Spine CT. Sagittal slice 231/512. Bone window (WL 400, WW 1800). image 409 mm wide. 512x700 px. 10 vertebrae labeled in this scan
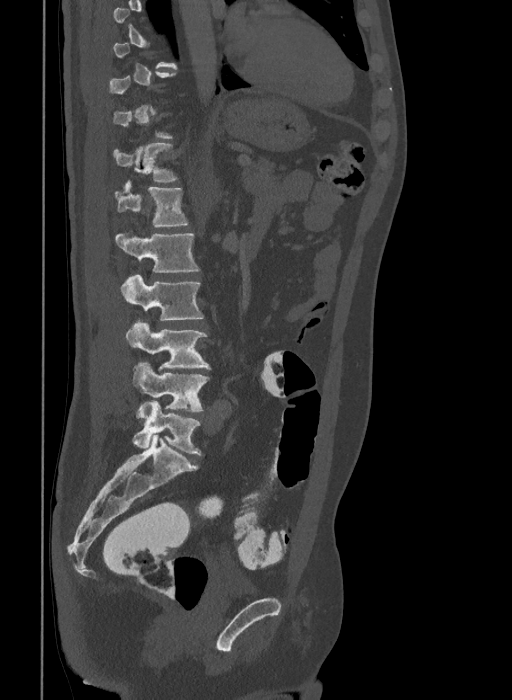 Bounding boxes as [x1, y1, x2, y2] in pixel coordinates. Not every vertebra on this slice has a box: a vertebra is boxed only from the first to the last slice where its cross-section is at least a third of its largest, and this slice is outside that range for at least one of them. The labels name a sixth lumbar vertebra for this spine: L6, after L5. 7 vertebrae labeled — T12 at [113, 143, 179, 182]; L1 at [114, 180, 189, 227]; L2 at [115, 232, 200, 272]; L3 at [120, 274, 204, 320]; L4 at [126, 320, 210, 370]; L5 at [131, 362, 209, 411]; L6 at [132, 400, 202, 455].